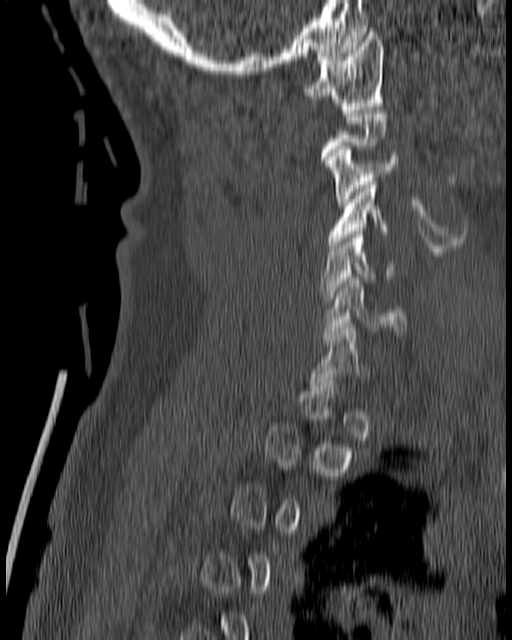

Computed tomography of the spine. sagittal view
Each row gives a vertebra's box as x1, y1, x2, y2 in pixels: top-left corner, then bottom-right corner.
A vertebra is boxed only from the first to the last slice where its cross-section is at least a third of its largest; slices outside that range leave it without a box.
| vertebra | x1 | y1 | x2 | y2 |
|---|---|---|---|---|
| C1 | 302 | 28 | 383 | 109 |
| C3 | 325 | 146 | 398 | 205 |
| C4 | 327 | 178 | 387 | 248 |
| C5 | 319 | 231 | 393 | 301 |
| C6 | 322 | 277 | 406 | 337 |